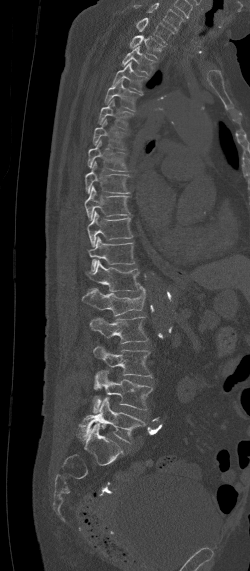 CT — sagittal view — bone-window reconstruction
Bounding boxes as [x1, y1, x2, y2] in pixel coordinates. This scan's labels start at C7 at the top and end at L5 at the bottom. Vertebrae labeled: C7 at [136, 17, 174, 44], T1 at [129, 35, 165, 59], T2 at [121, 45, 156, 74], T3 at [113, 61, 147, 94], T4 at [104, 79, 142, 111], T5 at [97, 98, 133, 130], T6 at [93, 119, 125, 149], T7 at [88, 139, 128, 171], T8 at [85, 162, 129, 193], T9 at [84, 187, 129, 218], T10 at [87, 211, 132, 247], T11 at [86, 237, 134, 271], T12 at [85, 260, 139, 292], L1 at [81, 286, 145, 315], L2 at [89, 317, 148, 343], L3 at [94, 346, 151, 376], L4 at [92, 370, 152, 413], L5 at [75, 397, 147, 442].